Computed tomography of the spine; sagittal plane, index 211; the image is 345 mm wide
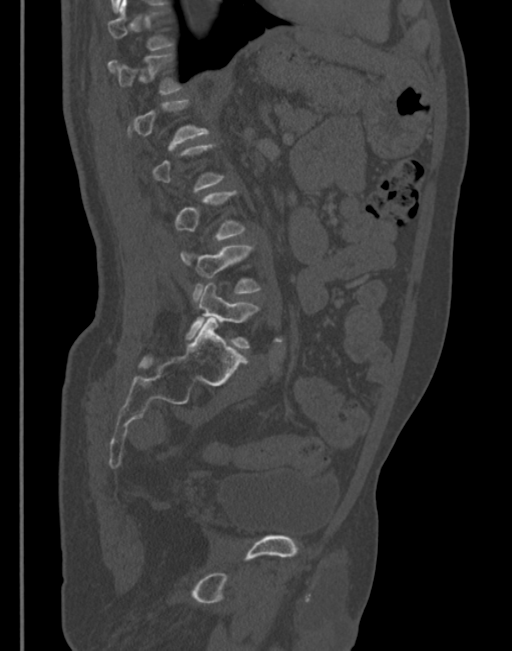
Coordinates as <box>x1,y1,x2,y2</box>. Not every vertebra on this slice has a box: a vertebra is boxed only from the first to the last slice where its cross-section is at least a third of its largest, and this slice is outside that range for at least one of them. The labeled vertebrae in this slice are: T12 at <box>107,55,181,95</box>, L1 at <box>127,99,208,150</box>, L4 at <box>181,246,260,304</box>, L5 at <box>187,283,260,348</box>.